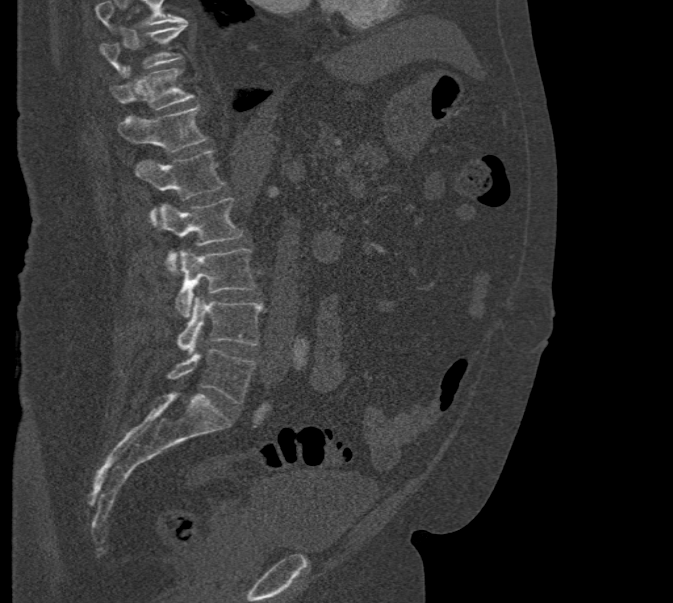
CT; sagittal view; bone-window reconstruction
Vertebrae that run past the top of the scan are left unlabeled.
<vertebrae><v name="T10" x1="99" y1="22" x2="186" y2="74"/><v name="T11" x1="110" y1="69" x2="193" y2="109"/><v name="T12" x1="118" y1="106" x2="208" y2="152"/><v name="L1" x1="134" y1="150" x2="225" y2="225"/><v name="L2" x1="151" y1="198" x2="242" y2="272"/><v name="L3" x1="176" y1="249" x2="257" y2="317"/><v name="L4" x1="177" y1="296" x2="263" y2="355"/><v name="L5" x1="167" y1="349" x2="255" y2="404"/></vertebrae>